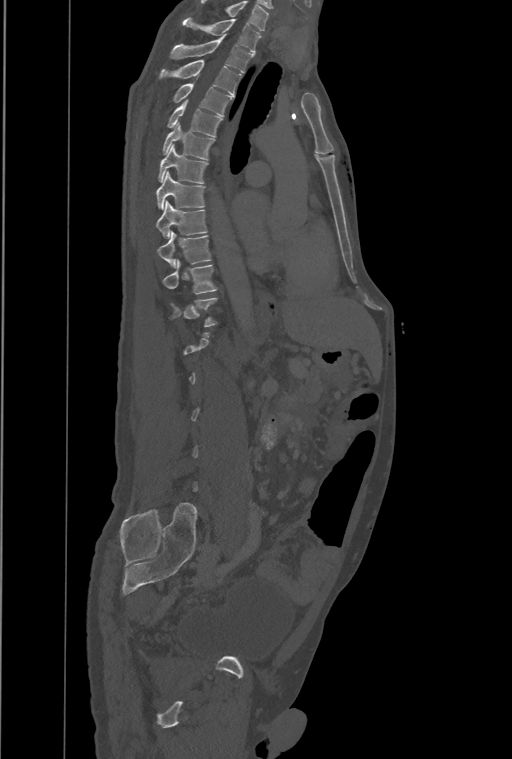

Computed tomography of the spine · sagittal reformat
A vertebra gets a box only on the slices from the first to the last where its cross-section is at least a third of its largest; on a slice outside that range it gets none.
Labels in this scan begin with T1 at the top and end with L4 at the bottom.
<vertebrae><v name="T11" x1="163" y1="260" x2="216" y2="294"/><v name="T10" x1="157" y1="231" x2="211" y2="267"/><v name="T9" x1="156" y1="200" x2="207" y2="238"/><v name="T8" x1="156" y1="171" x2="204" y2="209"/><v name="T7" x1="158" y1="145" x2="207" y2="183"/><v name="T6" x1="163" y1="124" x2="214" y2="159"/><v name="T5" x1="167" y1="100" x2="222" y2="137"/><v name="T4" x1="173" y1="84" x2="231" y2="116"/><v name="T3" x1="160" y1="60" x2="241" y2="95"/><v name="T2" x1="171" y1="35" x2="253" y2="73"/><v name="T1" x1="183" y1="18" x2="260" y2="54"/></vertebrae>